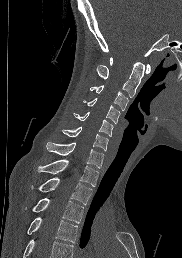 Computed tomography of the spine · sagittal view · bone window. Coordinates as <box>x1,y1,x2,y2</box>. Vertebrae that run past the bottom of the scan are left unlabeled. The labeled vertebrae in this slice are: T4 at <box>27,217,77,243</box>, T3 at <box>26,198,83,223</box>, T2 at <box>31,177,92,204</box>, T1 at <box>38,159,98,186</box>, C7 at <box>46,142,103,168</box>, C6 at <box>62,127,108,150</box>, C5 at <box>73,112,113,136</box>, C4 at <box>84,98,120,123</box>, C3 at <box>90,85,128,110</box>, C2 at <box>95,61,144,97</box>, C1 at <box>109,57,150,73</box>.